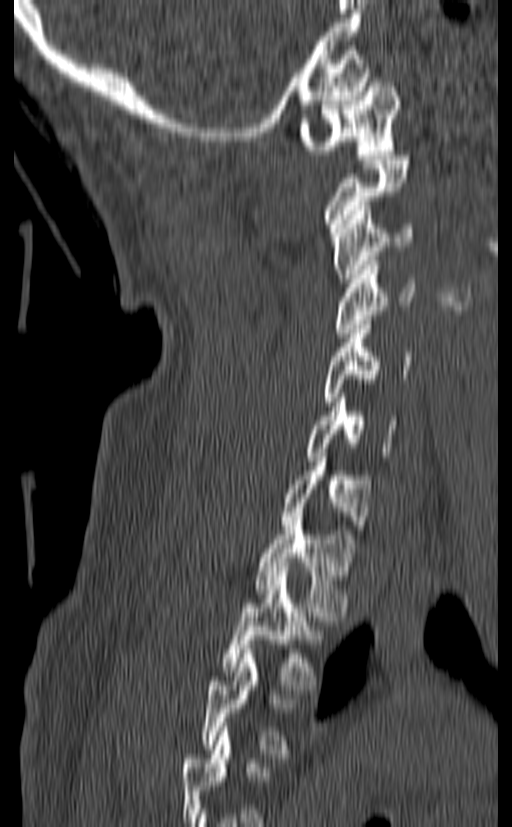
CT · sagittal view · Bone window (WL 400, WW 1800) · 140 mm wide · 512x827 px

Boxes are given in columns x1, y1, x2, y2, the pixel coordinates of their top-left and bottom-right corners.
The highest labeled vertebra in this scan is C1; the lowest is T3.
| vertebra | x1 | y1 | x2 | y2 |
|---|---|---|---|---|
| C1 | 299 | 78 | 400 | 159 |
| C2 | 323 | 155 | 410 | 232 |
| C3 | 330 | 206 | 414 | 287 |
| C4 | 334 | 261 | 415 | 337 |
| C5 | 323 | 320 | 412 | 401 |
| C6 | 305 | 393 | 396 | 461 |
| C7 | 281 | 453 | 371 | 529 |
| T1 | 254 | 512 | 354 | 616 |
| T2 | 221 | 571 | 324 | 689 |
| T3 | 201 | 649 | 294 | 758 |